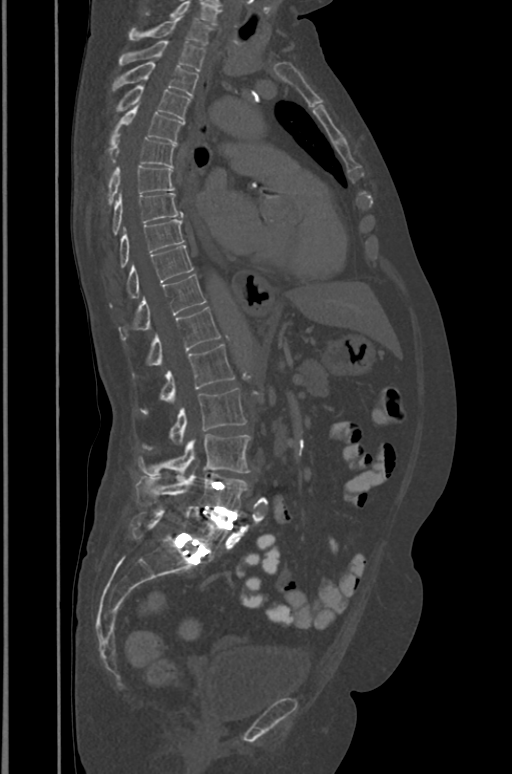
Spine CT; sagittal view; bone window; 512x774 px; 391 mm image width

Bounding boxes as [x1, y1, x2, y2] in pixel coordinates.
The highest labeled vertebra in this scan is T1; the lowest is L5.
T1: [128, 14, 211, 44]
T2: [119, 40, 205, 70]
T3: [111, 62, 198, 95]
T4: [115, 86, 190, 121]
T5: [110, 106, 184, 143]
T6: [107, 134, 176, 166]
T7: [106, 166, 173, 204]
T8: [113, 193, 182, 234]
T9: [119, 219, 184, 267]
T10: [110, 245, 193, 306]
T11: [119, 275, 206, 341]
T12: [132, 307, 220, 377]
L1: [140, 344, 235, 412]
L2: [144, 389, 247, 447]
L3: [137, 434, 249, 477]
L4: [135, 473, 247, 511]
L5: [131, 507, 228, 558]